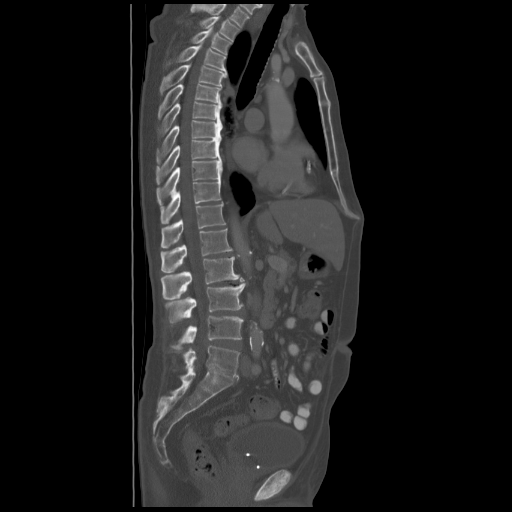
CT spine. sagittal view
Each box given as x1,y1,x2,y2. In this scan, the topmost labeled vertebra is T2 and the lowest is L5. Vertebrae labeled: T2 at x1=200, y1=16, x2=239, y2=41, T3 at x1=191, y1=27, x2=231, y2=54, T4 at x1=166, y1=44, x2=226, y2=71, T5 at x1=160, y1=64, x2=226, y2=95, T6 at x1=158, y1=84, x2=221, y2=118, T7 at x1=158, y1=101, x2=222, y2=135, T8 at x1=156, y1=120, x2=222, y2=162, T9 at x1=156, y1=138, x2=220, y2=182, T10 at x1=156, y1=158, x2=222, y2=204, T11 at x1=160, y1=179, x2=221, y2=223, T12 at x1=161, y1=202, x2=225, y2=247, L1 at x1=160, y1=229, x2=232, y2=273, L2 at x1=161, y1=256, x2=243, y2=299, L3 at x1=165, y1=282, x2=246, y2=322, L4 at x1=171, y1=316, x2=243, y2=347, L5 at x1=183, y1=346, x2=240, y2=377.